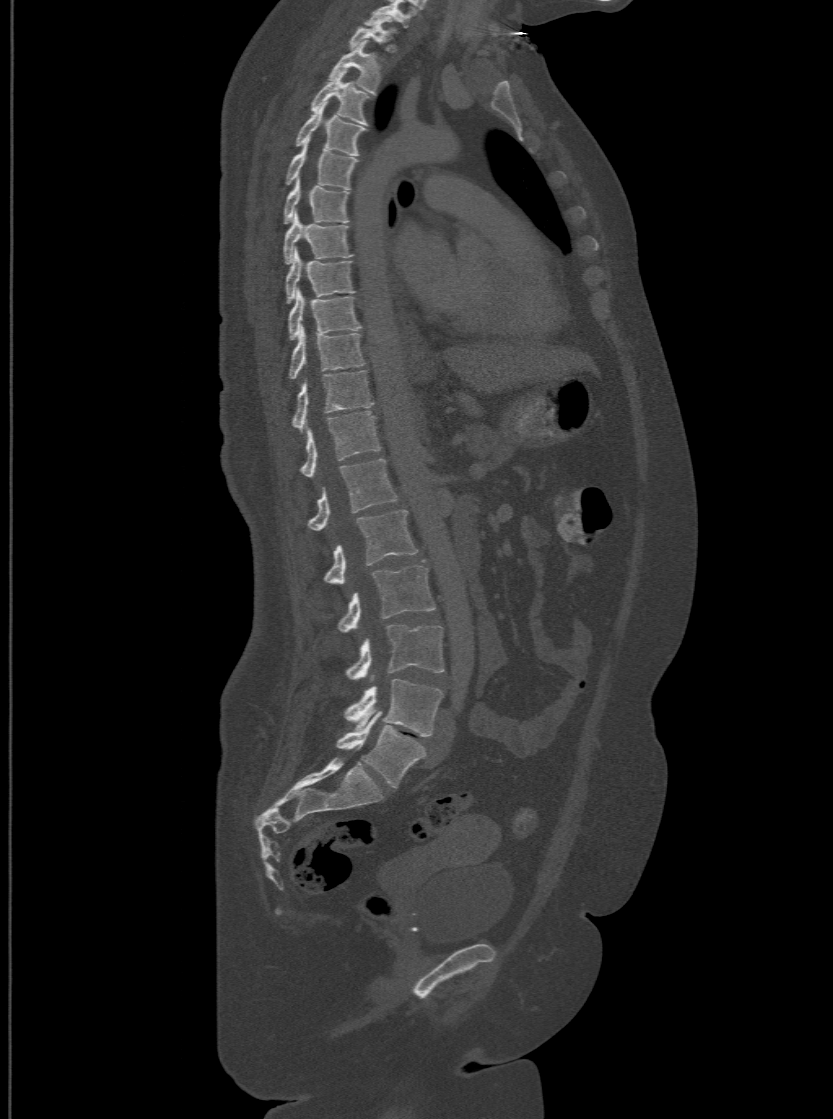
CT, spine; sagittal view; W/L 1800/400 HU
Each box given as x1,y1,x2,y2.
This scan's labels start at T1 at the top and end at L6 at the bottom.
The labels name a sixth lumbar vertebra for this spine: L6, after L5.
Vertebra bounding boxes:
- T1: x1=348, y1=20, x2=395, y2=46
- T2: x1=329, y1=40, x2=380, y2=94
- T3: x1=309, y1=70, x2=368, y2=124
- T4: x1=295, y1=103, x2=365, y2=154
- T5: x1=285, y1=140, x2=357, y2=187
- T6: x1=283, y1=178, x2=349, y2=222
- T7: x1=283, y1=213, x2=352, y2=262
- T8: x1=285, y1=250, x2=354, y2=302
- T9: x1=288, y1=290, x2=360, y2=339
- T10: x1=288, y1=328, x2=364, y2=379
- T11: x1=291, y1=368, x2=372, y2=431
- T12: x1=299, y1=410, x2=380, y2=476
- L1: x1=306, y1=458, x2=398, y2=529
- L2: x1=324, y1=508, x2=417, y2=583
- L3: x1=337, y1=566, x2=435, y2=632
- L4: x1=345, y1=624, x2=443, y2=678
- L5: x1=343, y1=679, x2=442, y2=737
- L6: x1=337, y1=711, x2=425, y2=788